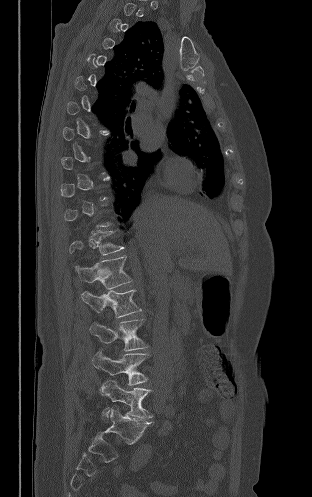
CT spine · sagittal reformat · 312x497 px
Box values are [left, top, right, bottom] in pixels.
Not every vertebra on this slice has a box: a vertebra is boxed only from the first to the last slice where its cross-section is at least a third of its largest, and this slice is outside that range for at least one of them.
{"vertebrae":{"T12":[69,231,124,255],"L1":[75,256,132,289],"L2":[81,290,141,317],"L3":[89,319,147,351],"L4":[92,349,148,385],"L5":[100,380,152,421]}}